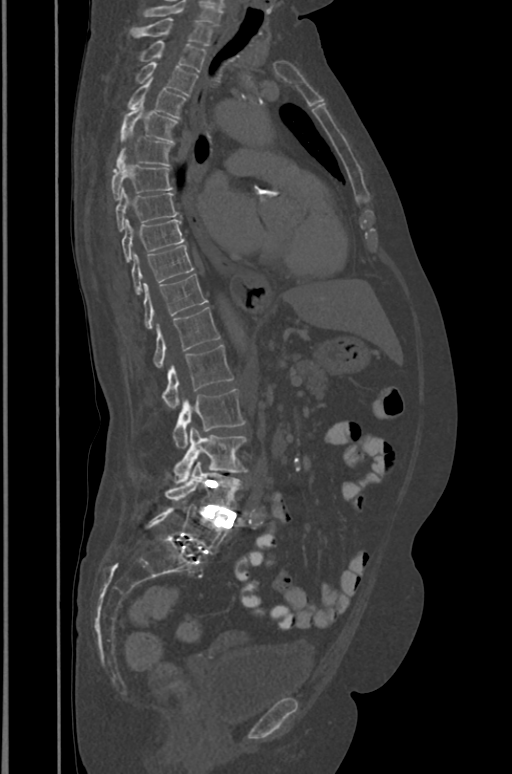
Computed tomography of the spine. sagittal view. 512x774 px
Boxes below are [x1, y1, x2, y2] in pixels.
In this scan, the topmost labeled vertebra is T1 and the lowest is L5.
{"vertebrae":{"T1":[131,18,212,45],"T2":[139,40,206,71],"T3":[135,62,198,95],"T4":[127,80,186,117],"T5":[120,102,177,142],"T6":[116,137,173,165],"T7":[111,164,172,199],"T8":[115,188,178,231],"T9":[122,219,184,262],"T10":[131,245,194,295],"T11":[144,274,207,328],"T12":[153,307,219,368],"L1":[162,344,233,409],"L2":[173,389,245,448],"L3":[174,428,247,483],"L4":[165,462,240,509],"L5":[147,506,228,554]}}